Spine CT. sagittal plane, index 239. W/L 1800/400 HU. scan covers 16 annotated vertebrae
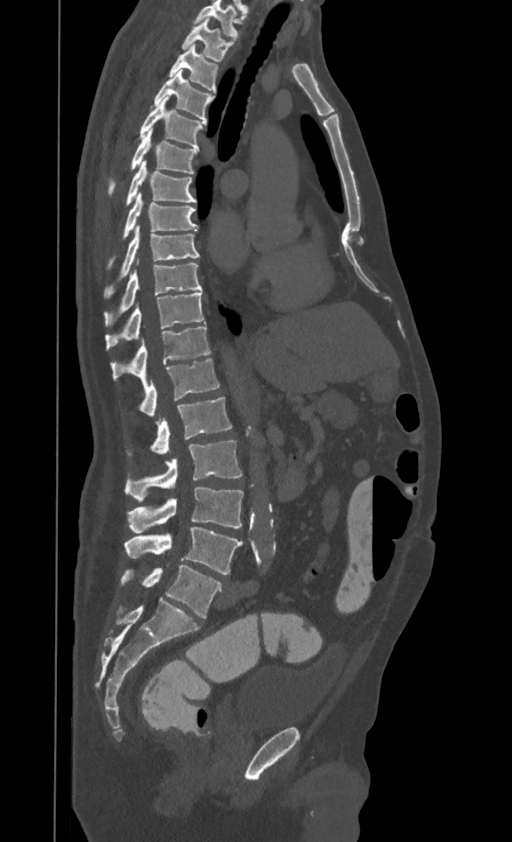
Box edges are left/top/right/bottom in pixels.
This scan's labels start at T1 at the top and end at L4 at the bottom.
T1: left=181, top=17, right=233, bottom=61
T2: left=168, top=44, right=218, bottom=92
T3: left=152, top=70, right=213, bottom=121
T4: left=140, top=97, right=205, bottom=148
T5: left=109, top=128, right=197, bottom=195
T6: left=126, top=161, right=196, bottom=205
T7: left=109, top=192, right=197, bottom=267
T8: left=104, top=225, right=198, bottom=296
T9: left=104, top=262, right=201, bottom=326
T10: left=105, top=293, right=204, bottom=350
T11: left=110, top=323, right=210, bottom=380
T12: left=139, top=359, right=219, bottom=417
L1: left=128, top=397, right=232, bottom=455
L2: left=124, top=441, right=241, bottom=502
L3: left=128, top=488, right=243, bottom=533
L4: left=124, top=527, right=243, bottom=574